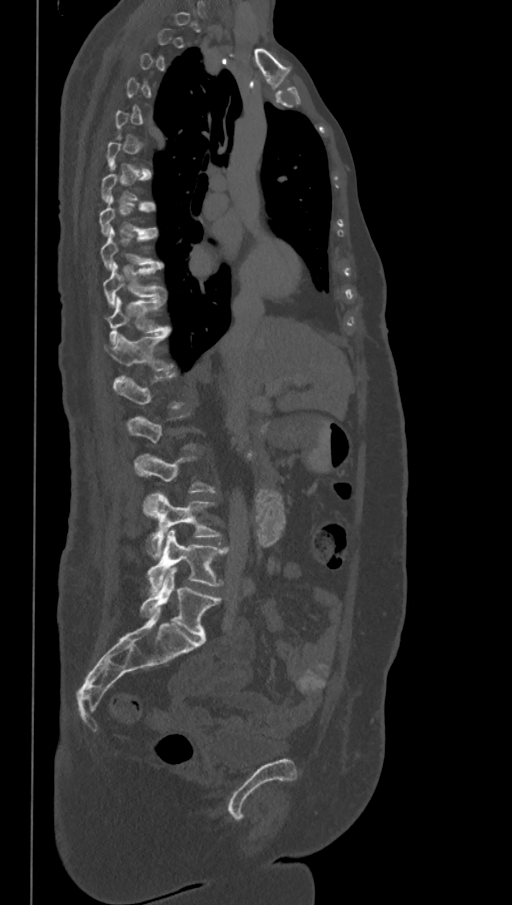 Spine CT. sagittal view. 512x905 px

Coordinates as <box>x1,y1,x2,y2</box>.
A vertebra is boxed only from the first to the last slice where its cross-section is at least a third of its largest; slices outside that range leave it without a box.
In these labels the spine has an L6, a sixth lumbar vertebra below L5.
Vertebra bounding boxes:
- L6: <box>140,567,221,638</box>
- L5: <box>147,530,226,591</box>
- L4: <box>143,492,220,557</box>
- T12: <box>104,331,170,370</box>
- T11: <box>104,298,167,341</box>
- T10: <box>103,263,163,306</box>
- T9: <box>100,228,162,268</box>